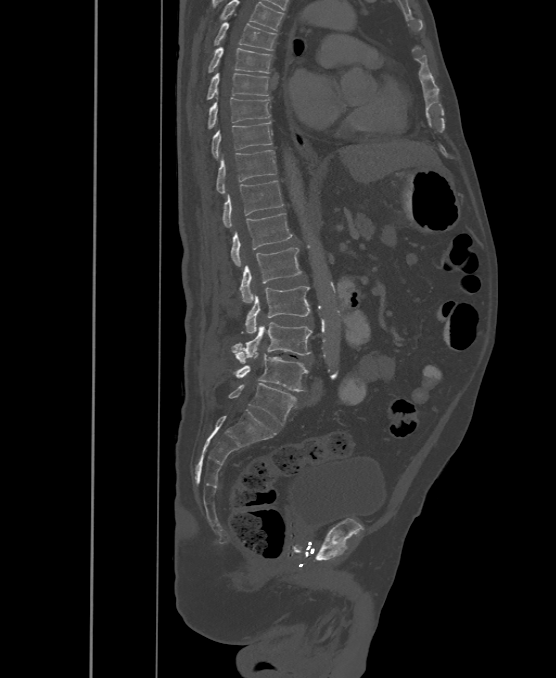

Spine CT · sagittal view · image 500 mm wide · 556x678 px
Coordinates as <box>x1,y1,x2,y2</box>. In this scan, the topmost labeled vertebra is T6 and the lowest is L6. The labels name a sixth lumbar vertebra for this spine: L6, after L5. 13 vertebrae labeled — L6 at <box>229,383,295,425</box>; L5 at <box>231,350,307,392</box>; L4 at <box>231,323,313,363</box>; L3 at <box>244,286,310,334</box>; L2 at <box>240,248,302,303</box>; L1 at <box>231,214,292,266</box>; T12 at <box>222,180,282,227</box>; T11 at <box>216,150,276,193</box>; T10 at <box>212,121,271,157</box>; T9 at <box>207,98,270,128</box>; T8 at <box>207,73,268,98</box>; T7 at <box>207,47,271,73</box>; T6 at <box>215,21,276,50</box>.